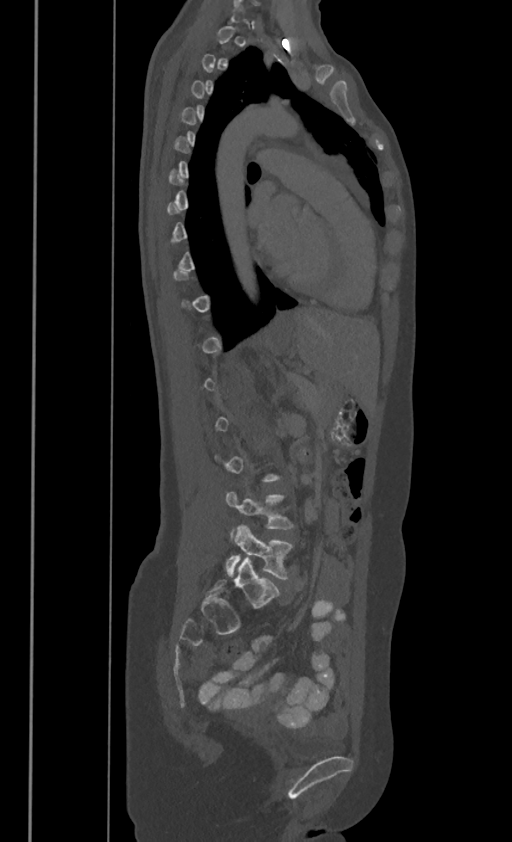

Spine CT; sagittal view; bone window

Boxes: x1 y1 x2 y2 (pixel coords, space-separated). A vertebra gets a box only on the slices from the first to the last where its cross-section is at least a third of its largest; on a slice outside that range it gets none. Vertebrae labeled: L4 at 225 492 293 540, L5 at 225 525 293 579.